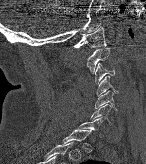

CT spine; sagittal view; 146x164 px

Box edges are left/top/right/bottom in pixels.
A vertebra is boxed only from the first to the last slice where its cross-section is at least a third of its largest; slices outside that range leave it without a box.
| vertebra | x1 | y1 | x2 | y2 |
|---|---|---|---|---|
| C1 | 73 | 26 | 107 | 48 |
| C2 | 86 | 47 | 112 | 73 |
| C3 | 95 | 63 | 114 | 83 |
| C4 | 96 | 76 | 118 | 97 |
| C5 | 95 | 91 | 116 | 109 |
| C6 | 90 | 103 | 111 | 124 |
| C7 | 78 | 117 | 103 | 136 |